Spine CT — Sagittal slice 461/768 — 9 vertebrae labeled in this scan — 227 mm image width
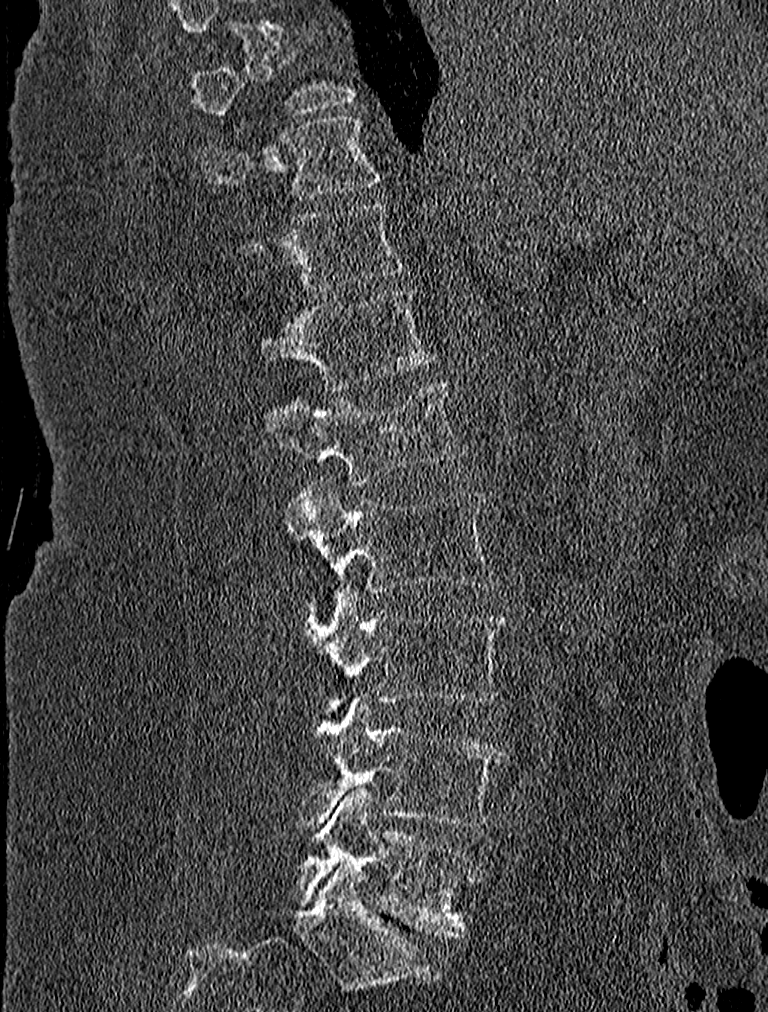
Labels in this scan begin with T9 at the top and end with L5 at the bottom.
<vertebrae><v name="T9" x1="192" y1="50" x2="356" y2="130"/><v name="T10" x1="202" y1="116" x2="384" y2="198"/><v name="T11" x1="237" y1="202" x2="404" y2="293"/><v name="T12" x1="259" y1="288" x2="438" y2="389"/><v name="L1" x1="263" y1="379" x2="468" y2="483"/><v name="L2" x1="286" y1="481" x2="495" y2="593"/><v name="L3" x1="301" y1="588" x2="509" y2="715"/><v name="L4" x1="295" y1="696" x2="506" y2="826"/><v name="L5" x1="297" y1="787" x2="482" y2="938"/></vertebrae>